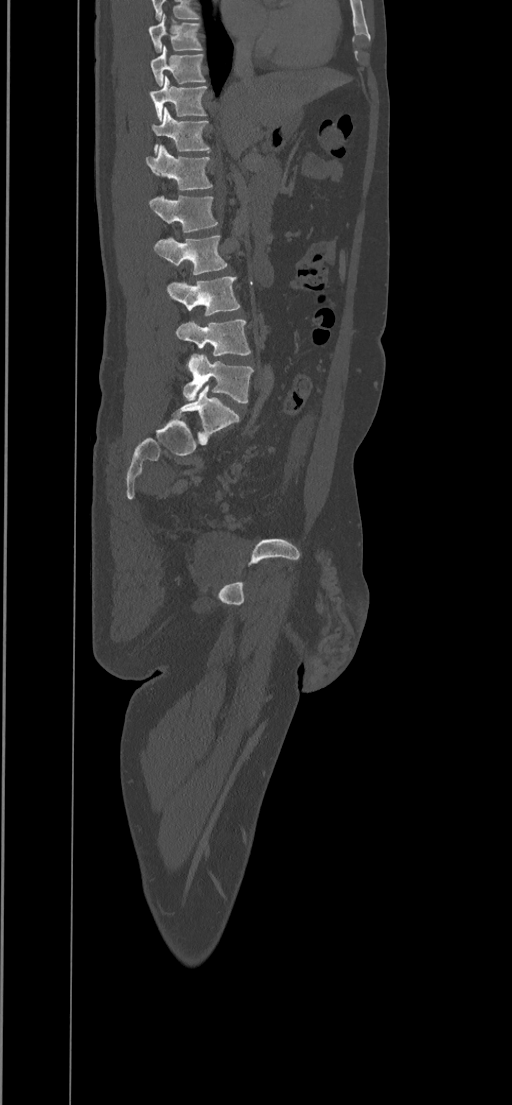 CT spine · sagittal reformat · bone window · 434 mm across the image
Each box given as x1,y1,x2,y2.
The highest labeled vertebra in this scan is T8; the lowest is L5.
T8: x1=149, y1=13, x2=203, y2=52
T9: x1=150, y1=45, x2=205, y2=86
T10: x1=150, y1=75, x2=207, y2=120
T11: x1=151, y1=107, x2=210, y2=154
T12: x1=146, y1=145, x2=212, y2=190
L1: x1=149, y1=194, x2=218, y2=232
L2: x1=153, y1=235, x2=228, y2=274
L3: x1=167, y1=276, x2=240, y2=315
L4: x1=176, y1=320, x2=251, y2=356
L5: x1=183, y1=354, x2=254, y2=402